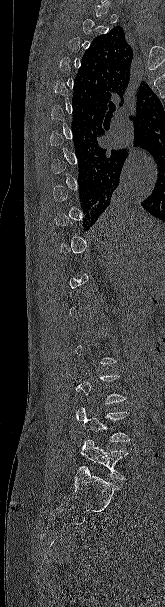 Spine CT · sagittal reformat · the image spans 165 mm across · Bone window (WL 400, WW 1800)
Box edges are left/top/right/bottom in pixels.
Each vertebra is boxed only on the slices from the first to the last where its cross-section reaches a third of its largest, so a slice outside that range leaves it unboxed.
L5: left=81, top=437, right=128, bottom=480
L4: left=76, top=408, right=130, bottom=442